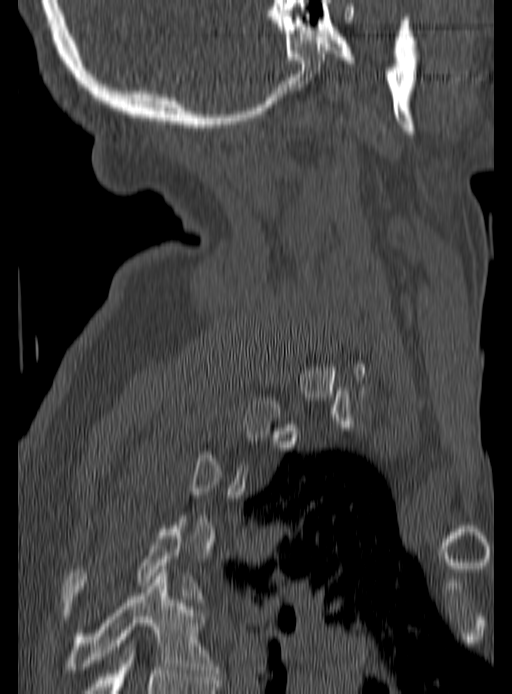
Spine computed tomography. sagittal view. W/L 1800/400 HU

Box edges are left/top/right/bottom in pixels.
A vertebra is boxed only from the first to the last slice where its cross-section is at least a third of its largest; slices outside that range leave it without a box.
T5: left=66, top=569, right=218, bottom=676
T4: left=63, top=522, right=199, bottom=605